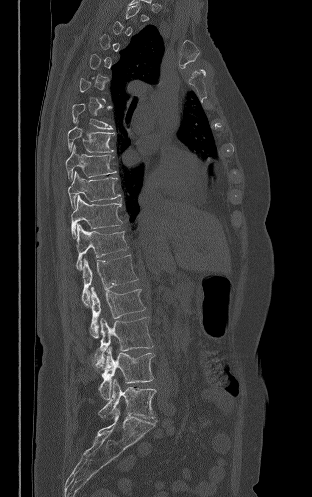
Spine computed tomography; the image spans 312 mm across; sagittal reformat; 312x497 px
Each vertebra is boxed only on the slices from the first to the last where its cross-section reaches a third of its largest, so a slice outside that range leaves it unboxed.
<vertebrae><v name="L5" x1="98" y1="379" x2="156" y2="418"/><v name="L4" x1="93" y1="347" x2="154" y2="399"/><v name="L3" x1="95" y1="317" x2="153" y2="366"/><v name="L2" x1="90" y1="287" x2="145" y2="338"/><v name="L1" x1="81" y1="255" x2="138" y2="306"/><v name="T12" x1="76" y1="224" x2="128" y2="270"/><v name="T11" x1="71" y1="195" x2="122" y2="238"/><v name="T10" x1="68" y1="171" x2="120" y2="208"/><v name="T9" x1="65" y1="145" x2="116" y2="179"/><v name="T8" x1="67" y1="126" x2="114" y2="152"/><v name="T7" x1="72" y1="103" x2="112" y2="129"/></vertebrae>